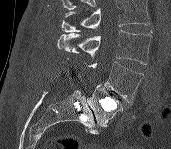
CT, spine — sagittal reformat — 171x149 px
In the table, x1 and y1 are a box's top-left corner and x2 and y2 its bottom-right corner, in pixels.
Where the top of the scan cuts through a vertebra, that vertebra gets no label or box.
| vertebra | x1 | y1 | x2 | y2 |
|---|---|---|---|---|
| L3 | 57 | 30 | 152 | 64 |
| L4 | 87 | 61 | 144 | 102 |
| L5 | 87 | 84 | 123 | 126 |